Spine CT · sagittal reformat · bone window
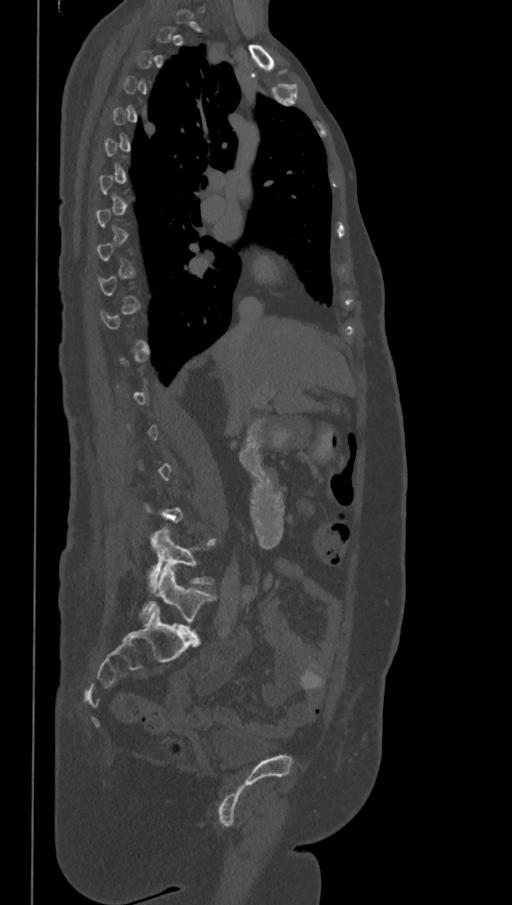

Box edges are left/top/right/bottom in pixels.
Not every vertebra on this slice has a box: a vertebra is boxed only from the first to the last slice where its cross-section is at least a third of its largest, and this slice is outside that range for at least one of them.
These labels give the spine a sixth lumbar vertebra, L6, below L5.
L5: left=149, top=527, right=213, bottom=586
L6: left=139, top=566, right=216, bottom=636